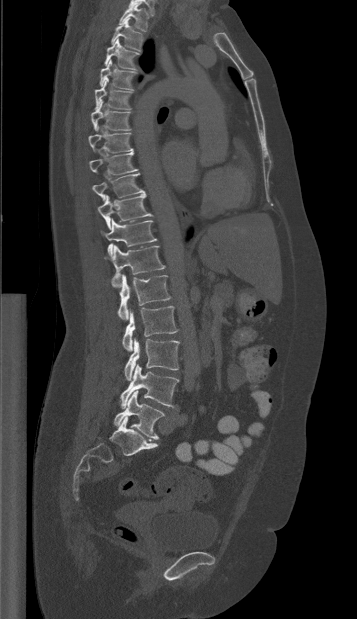
CT — sagittal view. Bounding boxes as [x1, y1, x2, y2] in pixel coordinates. 17 vertebrae labeled — T1 at [119, 2, 149, 31]; T2 at [111, 18, 143, 51]; T3 at [104, 38, 140, 69]; T4 at [99, 59, 137, 90]; T5 at [95, 78, 131, 109]; T6 at [91, 100, 131, 130]; T7 at [88, 126, 132, 152]; T8 at [89, 151, 138, 174]; T9 at [92, 173, 144, 200]; T10 at [97, 194, 152, 229]; T11 at [101, 219, 156, 255]; T12 at [105, 245, 166, 287]; L1 at [118, 274, 170, 319]; L2 at [122, 306, 177, 351]; L3 at [124, 338, 179, 380]; L4 at [120, 365, 179, 407]; L5 at [113, 391, 164, 439].